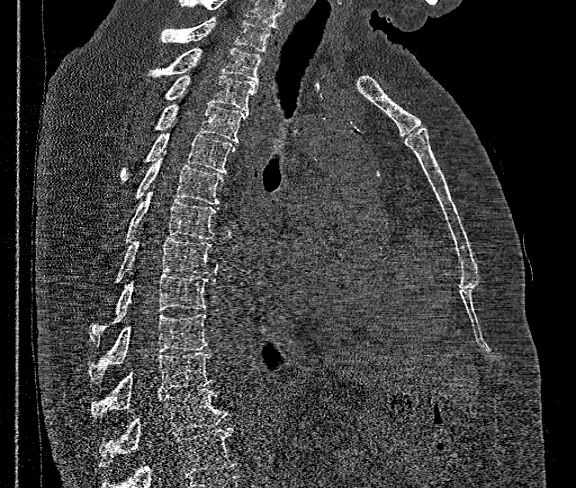 CT, spine; image width 360 mm; sagittal view
No box is given to a vertebra that the bottom edge of the scan cuts off.
In this scan, the topmost labeled vertebra is T1 and the lowest is T12.
<vertebrae><v name="T1" x1="160" y1="16" x2="271" y2="52"/><v name="T2" x1="150" y1="48" x2="262" y2="83"/><v name="T3" x1="164" y1="76" x2="257" y2="113"/><v name="T4" x1="155" y1="104" x2="246" y2="142"/><v name="T5" x1="119" y1="132" x2="235" y2="182"/><v name="T6" x1="136" y1="151" x2="223" y2="204"/><v name="T7" x1="126" y1="185" x2="216" y2="241"/><v name="T8" x1="117" y1="237" x2="212" y2="281"/><v name="T9" x1="91" y1="274" x2="207" y2="342"/><v name="T10" x1="89" y1="314" x2="207" y2="380"/><v name="T11" x1="91" y1="352" x2="212" y2="417"/><v name="T12" x1="99" y1="389" x2="230" y2="467"/></vertebrae>